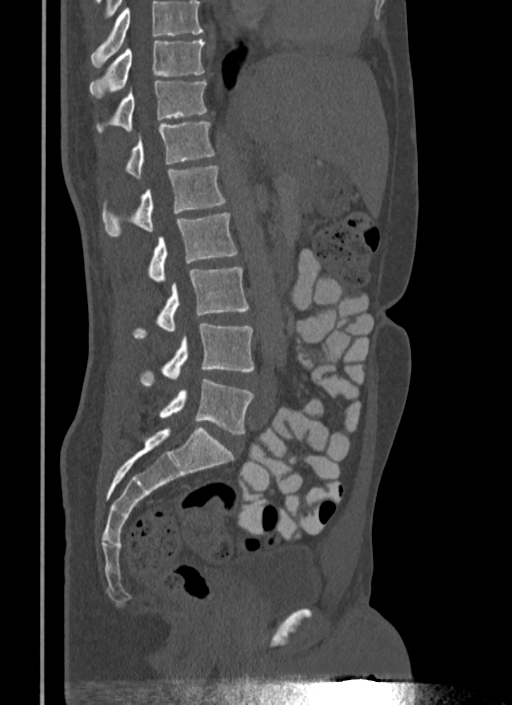

Spine CT; sagittal view; bone-window reconstruction; 340 mm wide
Each box given as x1,y1,x2,y2.
Vertebrae that run past the top of the scan are left unlabeled.
Vertebra bounding boxes:
- T10: x1=89, y1=38, x2=205, y2=98
- T11: x1=96, y1=78, x2=207, y2=133
- T12: x1=125, y1=122, x2=214, y2=177
- L1: x1=102, y1=166, x2=226, y2=235
- L2: x1=147, y1=212, x2=237, y2=281
- L3: x1=132, y1=267, x2=249, y2=338
- L4: x1=140, y1=324, x2=253, y2=386
- L5: x1=135, y1=379, x2=253, y2=434